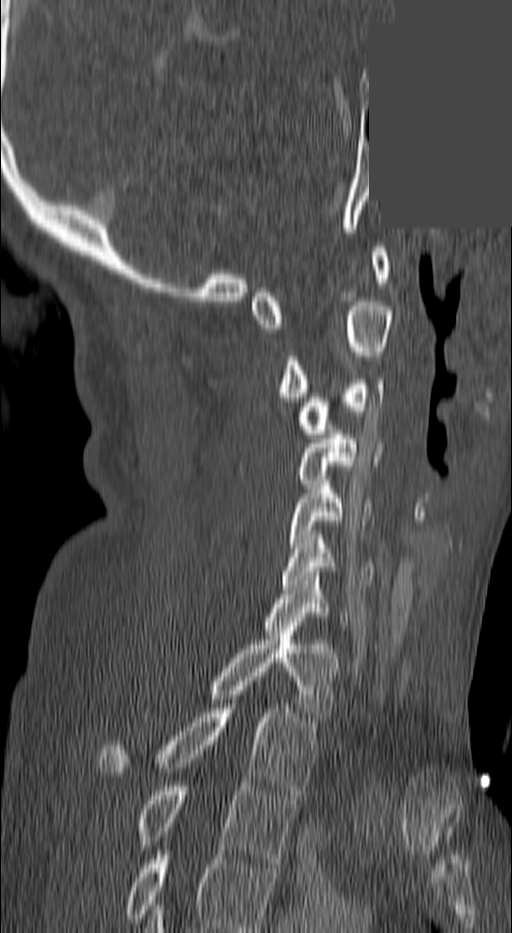

Spine computed tomography · sagittal view · the image is 140 mm wide · W/L 1800/400 HU · a region of this slice is masked with a uniform fill

Each row gives a vertebra's box as x1, y1, x2, y2 in pixels: top-left corner, then bottom-right corner.
This scan's labels start at C1 at the top and end at T3 at the bottom.
| vertebra | x1 | y1 | x2 | y2 |
|---|---|---|---|---|
| T3 | 140 | 782 | 293 | 863 |
| T2 | 100 | 704 | 315 | 794 |
| T1 | 213 | 631 | 337 | 721 |
| C7 | 261 | 576 | 348 | 630 |
| C6 | 283 | 535 | 373 | 589 |
| C5 | 287 | 480 | 373 | 548 |
| C4 | 295 | 430 | 381 | 484 |
| C3 | 296 | 379 | 384 | 438 |
| C2 | 279 | 302 | 392 | 401 |
| C1 | 250 | 247 | 388 | 328 |